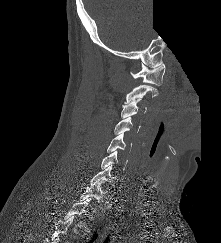

Spine computed tomography. sagittal view. 221x243 px. part of the image has been replaced by a constant value
Coordinates as <box>x1,y1,x2,y2</box>. This scan's labels start at C1 at the top and end at T2 at the bottom. Vertebrae labeled: T2 at <box>64,198,90,232</box>, T1 at <box>80,181,106,202</box>, C7 at <box>89,165,117,188</box>, C6 at <box>101,150,127,170</box>, C5 at <box>107,133,131,152</box>, C4 at <box>114,117,140,134</box>, C3 at <box>121,98,146,118</box>, C2 at <box>124,84,158,103</box>, C1 at <box>130,62,165,85</box>.